Spine computed tomography · sagittal reformat · bone-window reconstruction · 210 mm wide
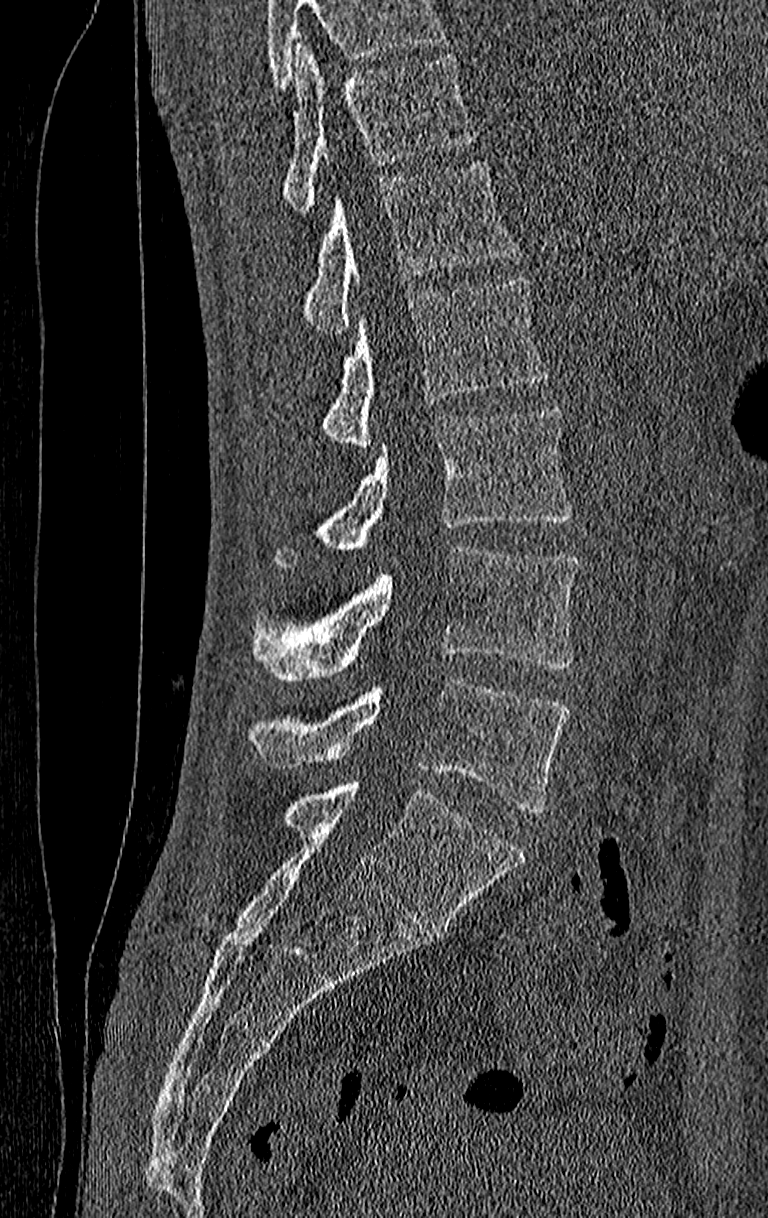 Boxes below are [x1, y1, x2, y2] in pixels.
No box is given to a vertebra that the top edge of the scan cuts off.
This scan's labels start at T11 at the top and end at L4 at the bottom.
{"vertebrae":{"L4":[247,678,568,812],"L3":[251,546,579,680],"L2":[277,406,572,567],"L1":[320,275,550,450],"T12":[302,161,517,333],"T11":[284,44,477,211]}}